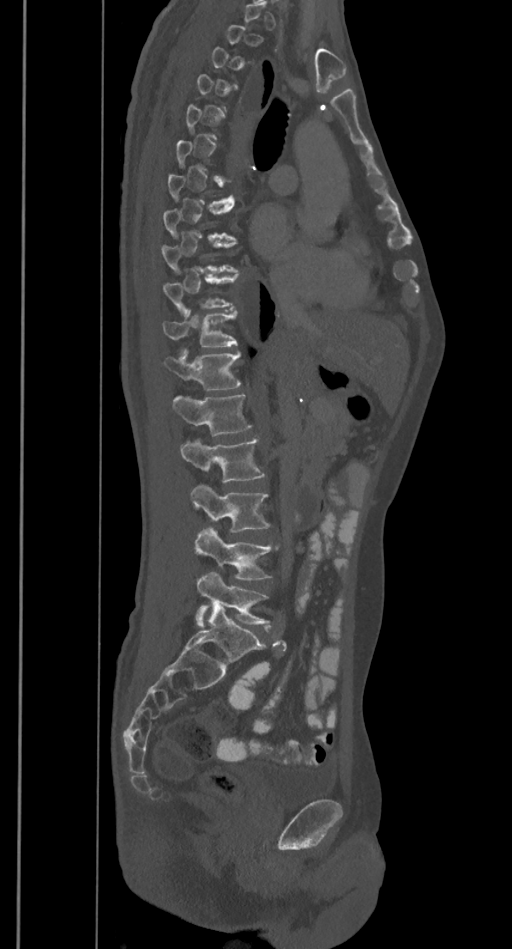 Spine computed tomography — sagittal view — bone-window reconstruction — 512x949 px
A vertebra gets a box only on the slices from the first to the last where its cross-section is at least a third of its largest; on a slice outside that range it gets none.
<vertebrae><v name="T10" x1="163" y1="274" x2="238" y2="313"/><v name="T11" x1="162" y1="310" x2="237" y2="347"/><v name="T12" x1="163" y1="349" x2="241" y2="390"/><v name="L1" x1="173" y1="395" x2="252" y2="436"/><v name="L2" x1="179" y1="438" x2="265" y2="483"/><v name="L3" x1="190" y1="484" x2="270" y2="532"/><v name="L4" x1="194" y1="527" x2="278" y2="579"/><v name="L5" x1="195" y1="571" x2="270" y2="626"/></vertebrae>